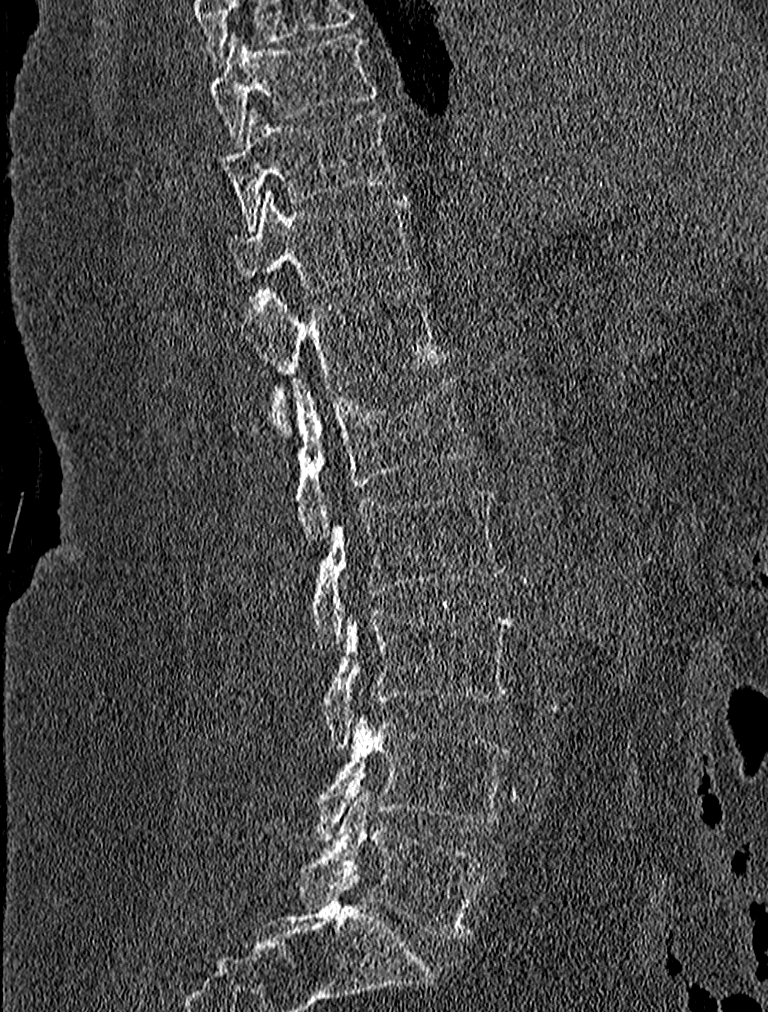 CT, spine. sagittal reformat. Bone window (WL 400, WW 1800)
Bounding boxes as [x1, y1, x2, y2] in pixel coordinates.
L5: [300, 793, 488, 938]
L4: [301, 719, 508, 842]
L3: [320, 611, 512, 748]
L2: [310, 487, 505, 648]
L1: [292, 376, 475, 544]
T12: [252, 288, 444, 436]
T11: [227, 190, 414, 293]
T10: [222, 108, 397, 229]
T9: [210, 30, 377, 148]